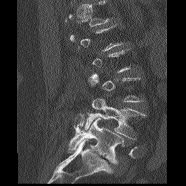

CT, spine — the image spans 186 mm across — sagittal view
Each row gives a vertebra's box as x1, y1, x2, y2 in pixels: top-left corner, then bottom-right corner.
Each vertebra is boxed only on the slices from the first to the last where its cross-section reaches a third of its largest, so a slice outside that range leaves it unboxed.
| vertebra | x1 | y1 | x2 | y2 |
|---|---|---|---|---|
| L5 | 68 | 113 | 124 | 163 |
| L4 | 83 | 98 | 145 | 139 |